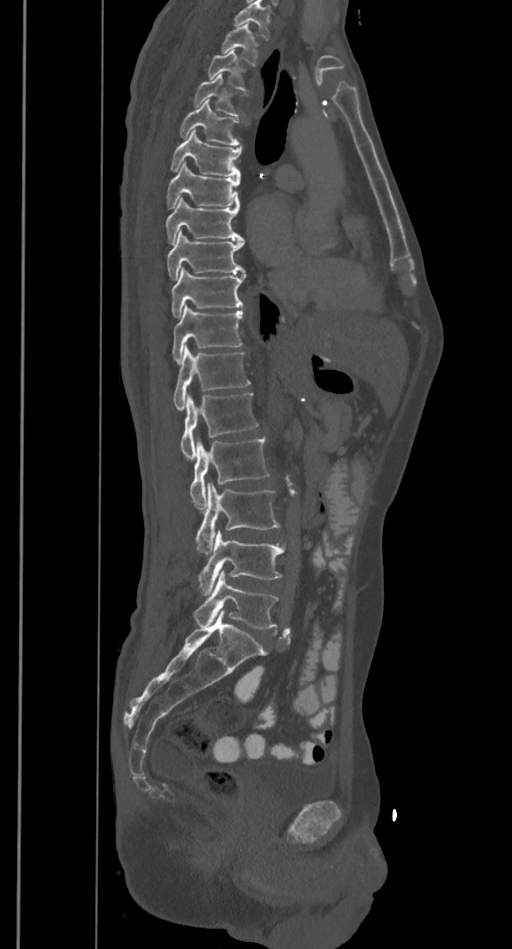
Computed tomography of the spine — sagittal reformat — 512x949 px
Boxes below are [x1, y1, x2, y2] in pixels.
A vertebra cut off by the top edge of the scan is not labeled and has no box.
{"vertebrae":{"T2":[222,24,259,64],"T3":[207,49,250,90],"T4":[194,75,241,115],"T5":[179,99,240,145],"T6":[170,130,241,177],"T7":[166,162,240,207],"T8":[166,197,244,243],"T9":[167,231,245,279],"T10":[172,267,246,317],"T11":[173,305,242,362],"T12":[173,346,250,411],"L1":[181,394,258,460],"L2":[190,437,269,509],"L3":[195,484,279,553],"L4":[198,530,285,596],"L5":[194,570,278,629]}}